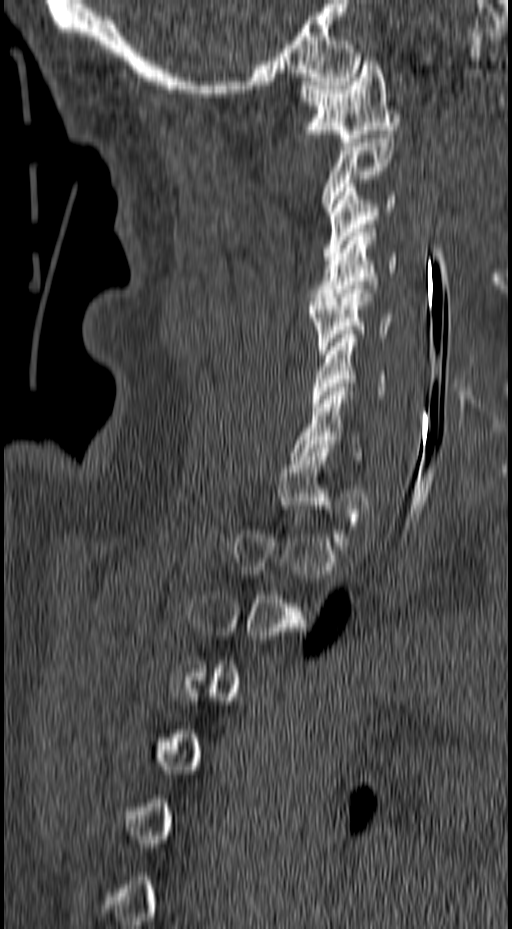 Computed tomography of the spine — sagittal view — Bone window (WL 400, WW 1800)

Each vertebra maps to its box as [x1, y1, x2, y2], the pixel coordinates of its top-left and bottom-right corners.
Each vertebra is boxed only on the slices from the first to the last where its cross-section reaches a third of its largest, so a slice outside that range leaves it unboxed.
{"vertebrae":{"C1":[300,57,399,142],"C2":[321,139,394,215],"C3":[322,183,395,260],"C4":[309,228,398,305],"C5":[309,285,393,354],"C6":[311,334,386,407],"C7":[291,387,360,460]}}